Spine CT — the image spans 377 mm across — sagittal view
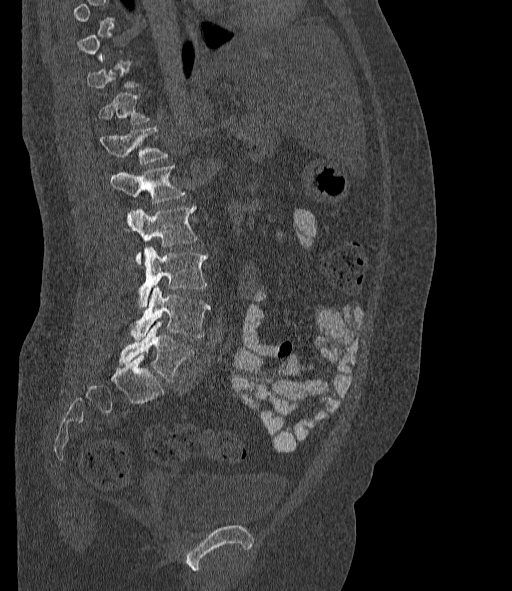
A vertebra is boxed only from the first to the last slice where its cross-section is at least a third of its largest; slices outside that range leave it without a box.
In these labels the spine has an L6, a sixth lumbar vertebra below L5.
<vertebrae><v name="T11" x1="87" y1="56" x2="139" y2="87"/><v name="T12" x1="98" y1="92" x2="150" y2="124"/><v name="L1" x1="100" y1="126" x2="167" y2="163"/><v name="L2" x1="110" y1="166" x2="185" y2="204"/><v name="L3" x1="126" y1="206" x2="197" y2="264"/><v name="L4" x1="138" y1="246" x2="207" y2="307"/><v name="L5" x1="130" y1="287" x2="211" y2="340"/><v name="L6" x1="119" y1="322" x2="193" y2="381"/></vertebrae>